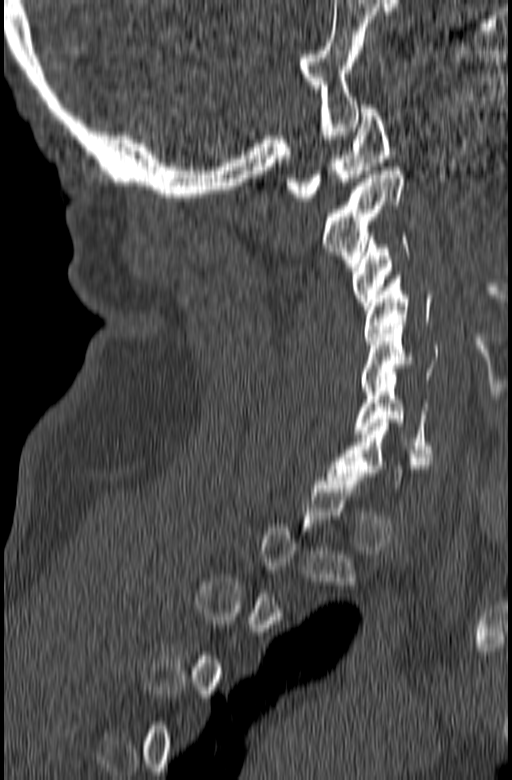 Spine CT · sagittal view · 512x780 px

Box edges are left/top/right/bottom in pixels. A vertebra gets a box only on the slices from the first to the last where its cross-section is at least a third of its largest; on a slice outside that range it gets none. The labeled vertebrae in this slice are: C1 at left=286, top=105, right=391, bottom=201, C2 at left=321, top=167, right=404, bottom=267, C3 at left=352, top=233, right=409, bottom=313, C4 at left=364, top=275, right=431, bottom=344, C5 at left=361, top=322, right=438, bottom=391, C6 at left=355, top=376, right=433, bottom=453, C7 at left=327, top=419, right=432, bottom=488.